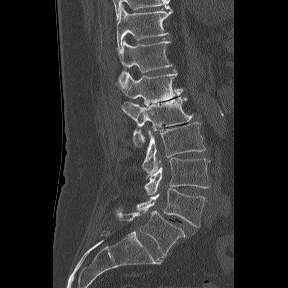 CT · sagittal view · bone-window reconstruction · 288x288 px
Coordinates as <box>x1,y1,x2,y2</box>. The labels name a sixth lumbar vertebra for this spine: L6, after L5. The labeled vertebrae in this slice are: T11 at <box>117,7,172,49</box>, T12 at <box>118,40,172,86</box>, L1 at <box>122,70,183,105</box>, L2 at <box>121,97,193,146</box>, L3 at <box>142,122,205,179</box>, L4 at <box>144,157,210,195</box>, L5 at <box>136,188,206,227</box>, L6 at <box>115,209,185,255</box>.